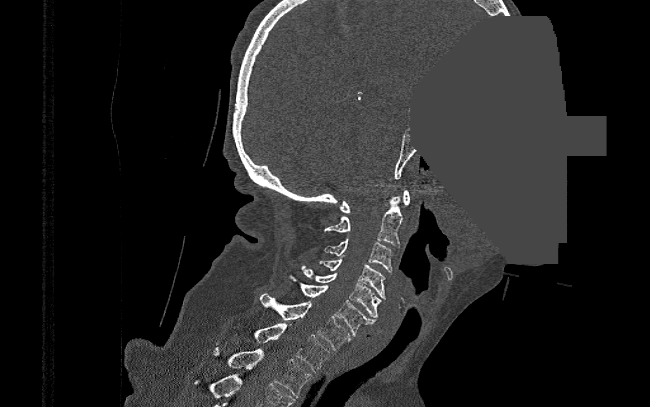 CT, spine — sagittal view — W/L 1800/400 HU — 650x407 px — 390 mm image width — a region of this slice is masked with a uniform fill
Each vertebra maps to its box as [x1, y1, x2, y2], the pixel coordinates of its top-left and bottom-right corners.
{"vertebrae":{"C1":[339,190,410,213],"C2":[324,197,403,247],"C3":[324,239,394,273],"C4":[319,258,385,299],"C5":[301,266,381,317],"C6":[288,274,376,336],"C7":[260,292,351,350],"T1":[253,323,330,371],"T2":[211,347,311,398]}}